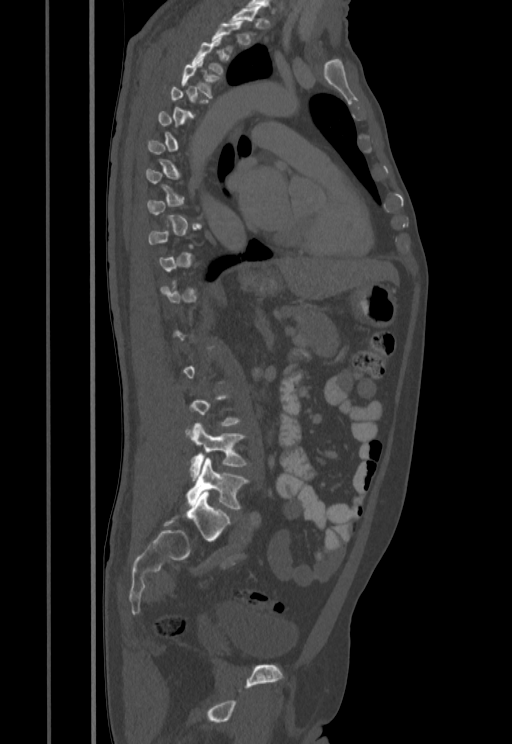
CT, spine — sagittal view — the image spans 455 mm across — bone-window reconstruction. Coordinates as <box>x1,y1,x2,y2</box>.
A vertebra is boxed only from the first to the last slice where its cross-section is at least a third of its largest; slices outside that range leave it without a box.
Vertebra bounding boxes:
- T3: <box>191,38,223,74</box>
- T4: <box>181,59,218,97</box>
- L4: <box>190,423,248,479</box>
- L5: <box>186,457,249,510</box>